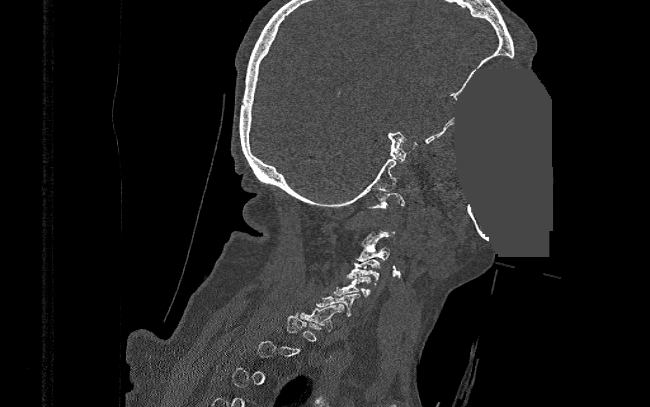 Computed tomography of the spine; sagittal reformat; image 390 mm wide; 650x407 px; a uniform gray block covers part of the image

Boxes are (x1, y1, x2, y2) in pixels.
A vertebra gets a box only on the slices from the first to the last where its cross-section is at least a third of its largest; on a slice outside that range it gets none.
Vertebra bounding boxes:
- C1: (367, 192, 404, 208)
- C3: (357, 242, 389, 261)
- C4: (347, 259, 380, 284)
- C5: (334, 276, 370, 297)
- C6: (316, 293, 360, 316)
- C7: (300, 304, 344, 331)